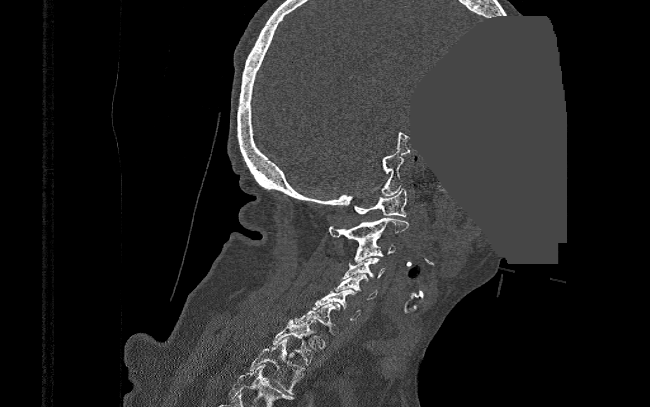
CT, spine · sagittal view · image 390 mm wide · Bone window (WL 400, WW 1800) · an area of the scan was removed and filled with constant pixels. Each row gives a vertebra's box as x1, y1, x2, y2 in pixels: top-left corner, then bottom-right corner.
| vertebra | x1 | y1 | x2 | y2 |
|---|---|---|---|---|
| C1 | 353 | 189 | 407 | 217 |
| C2 | 329 | 218 | 409 | 244 |
| C3 | 354 | 239 | 395 | 261 |
| C4 | 343 | 258 | 384 | 278 |
| C5 | 334 | 274 | 377 | 300 |
| C6 | 312 | 289 | 361 | 320 |
| C7 | 295 | 303 | 341 | 333 |
| T1 | 272 | 319 | 315 | 365 |
| T2 | 248 | 337 | 305 | 394 |